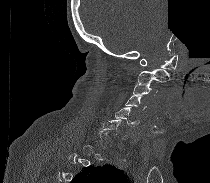

CT spine — sagittal view — 210x183 px — 210 mm wide — a region is blanked to uniform black, ending in a straight edge
Boxes are given in columns x1, y1, x2, y2, the pixel coordinates of their top-left and bottom-right corners.
A vertebra is boxed only from the first to the last slice where its cross-section is at least a third of its largest; slices outside that range leave it without a box.
| vertebra | x1 | y1 | x2 | y2 |
|---|---|---|---|---|
| C6 | 102 | 119 | 126 | 139 |
| C5 | 115 | 107 | 139 | 126 |
| C4 | 125 | 96 | 146 | 110 |
| C3 | 132 | 82 | 157 | 95 |
| C2 | 137 | 69 | 170 | 83 |
| C1 | 140 | 55 | 177 | 69 |